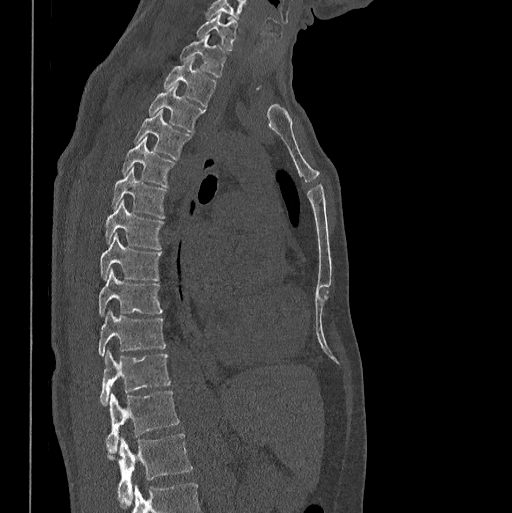 Spine CT — sagittal view — bone-window reconstruction
Each vertebra maps to its box as [x1, y1, x2, y2], the pixel coordinates of its top-left and bottom-right corners.
The highest labeled vertebra in this scan is C7; the lowest is L1.
{"vertebrae":{"L1":[108,433,192,505],"T12":[105,390,179,453],"T11":[100,351,170,405],"T10":[99,309,166,354],"T9":[99,269,162,316],"T8":[100,233,161,280],"T7":[105,200,164,249],"T6":[112,167,166,218],"T5":[122,135,174,187],"T4":[134,110,192,160],"T3":[149,85,205,132],"T2":[163,58,216,107],"T1":[180,36,227,77],"C7":[197,13,237,50]}}